Spine CT · 187 mm across the image · sagittal view · W/L 1800/400 HU
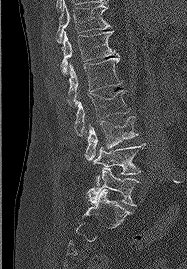 Boxes: x1:y1:x2:y2 in pixels. 7 vertebrae labeled — T11 at 56:0:110:42; T12 at 60:31:118:74; L1 at 68:56:122:106; L2 at 74:90:130:136; L3 at 85:116:138:160; L4 at 92:143:145:185; L5 at 86:167:139:206.